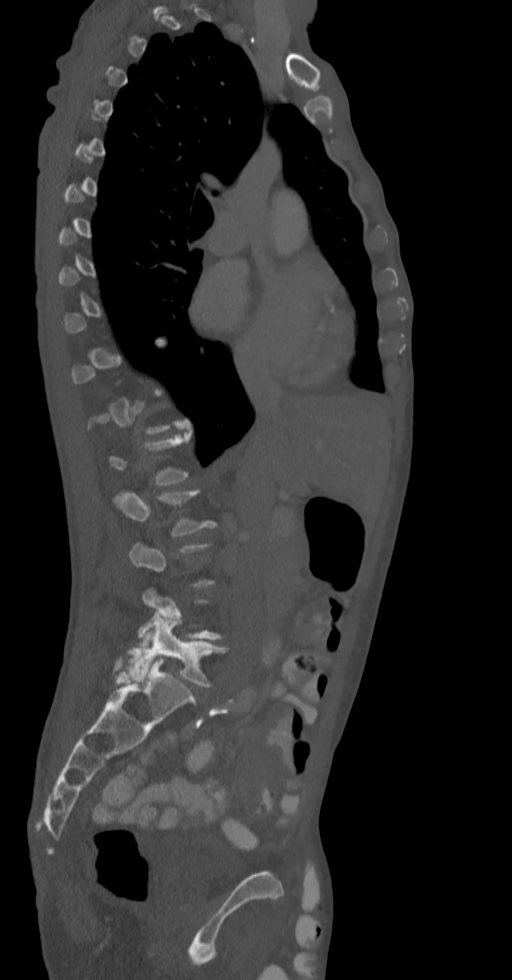
Spine CT · the image spans 336 mm across · sagittal view · bone window

Bounding boxes as [x1, y1, x2, y2] in pixel coordinates. A vertebra gets a box only on the slices from the first to the last where its cross-section is at least a third of its largest; on a slice outside that range it gets none. 2 vertebrae labeled — L2 at [112, 489, 215, 535]; L5 at [117, 617, 227, 686].